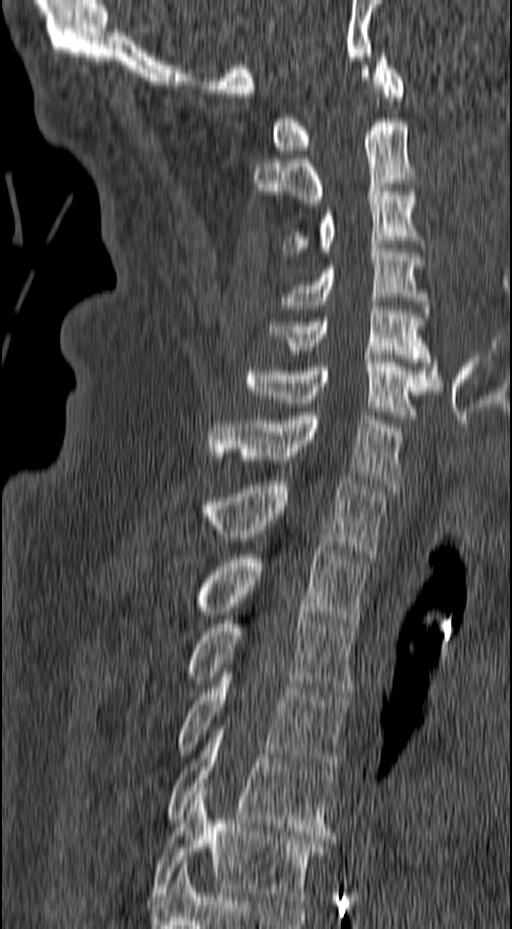 Spine CT; sagittal view; 512x929 px
Each box given as x1,y1,x2,y2. The labeled vertebrae in this slice are: T6 at x1=152, y1=787, x2=333, y2=904, T5 at x1=166, y1=726, x2=336, y2=839, T4 at x1=177, y1=669, x2=349, y2=769, T3 at x1=187, y1=611, x2=356, y2=696, T2 at x1=197, y1=546, x2=369, y2=627, T1 at x1=203, y1=477, x2=388, y2=557, C7 at x1=210, y1=412, x2=401, y2=488, C6 at x1=246, y1=355, x2=440, y2=419, C5 at x1=269, y1=302, x2=439, y2=378, C4 at x1=281, y1=245, x2=431, y2=317, C3 at x1=282, y1=188, x2=424, y2=256, C2 at x1=253, y1=118, x2=417, y2=203, C1 at x1=272, y1=53, x2=405, y2=154.